Computed tomography of the spine; sagittal view; 512x923 px; scan covers 11 annotated vertebrae; 140 mm wide
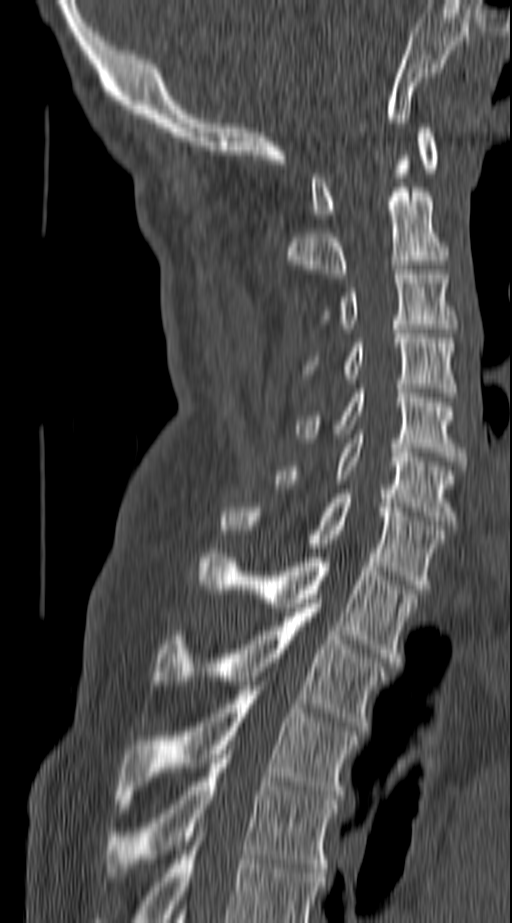

Coordinates as <box>x1,y1,x2,y2</box>. In this scan, the topmost labeled vertebra is C1 and the lowest is T4. Vertebrae labeled: C1 at <box>309,128,439,218</box>, C2 at <box>287,155,450,278</box>, C3 at <box>320,270,457,328</box>, C4 at <box>305,329,457,397</box>, C5 at <box>296,389,465,465</box>, C6 at <box>276,434,457,529</box>, C7 at <box>221,494,447,589</box>, T1 at <box>199,549,417,662</box>, T2 at <box>151,603,388,730</box>, T3 at <box>115,686,359,808</box>, T4 at <box>104,754,340,881</box>.